Spine CT. sagittal view. 421 mm image width. W/L 1800/400 HU. 702x1284 px. scan covers 19 annotated vertebrae
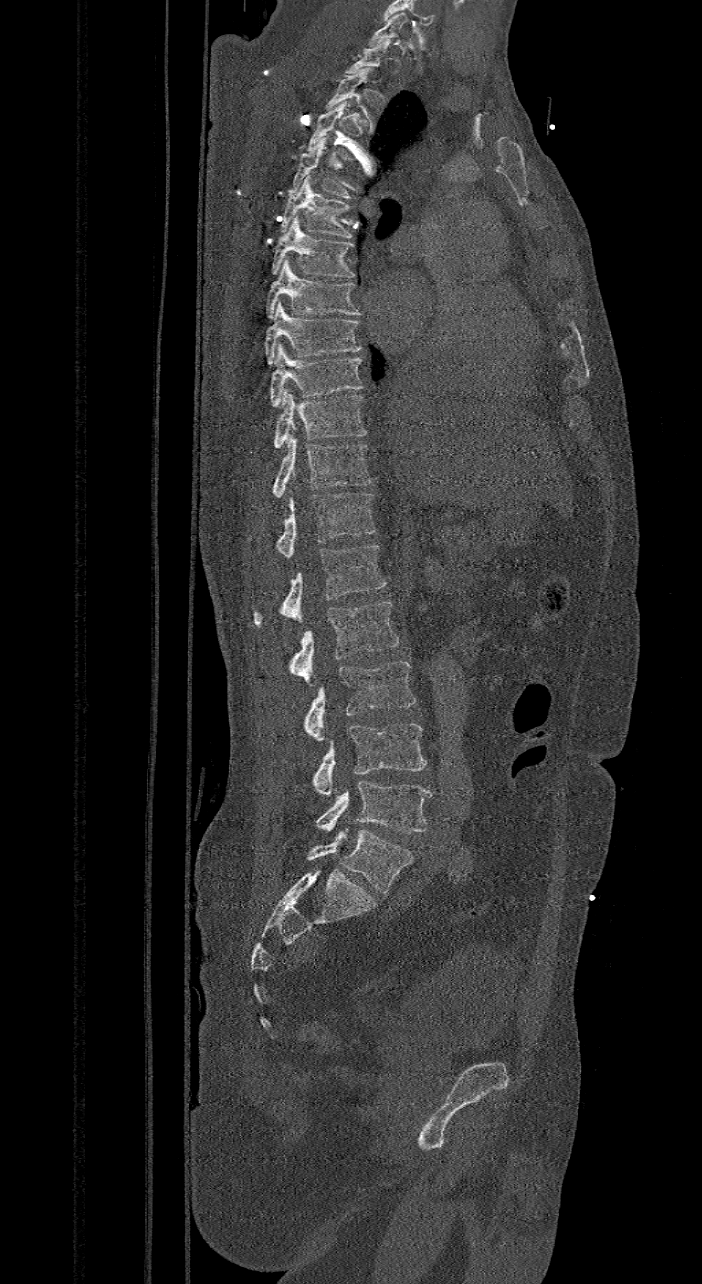 Boxes below are [x1, y1, x2, y2] in pixels.
Each vertebra is boxed only on the slices from the first to the last where its cross-section reaches a third of its largest, so a slice outside that range leaves it unboxed.
These labels give the spine a sixth lumbar vertebra, L6, below L5.
{"vertebrae":{"C7":[367,12,409,46],"T4":[288,137,351,199],"T5":[280,175,353,238],"T6":[270,216,355,277],"T7":[266,259,362,318],"T8":[264,302,362,364],"T9":[270,343,365,406],"T10":[273,390,368,447],"T11":[273,433,370,497],"T12":[277,490,376,556],"L1":[254,545,385,625],"L2":[291,600,399,685],"L3":[304,661,416,742],"L4":[314,723,427,797],"L5":[317,781,432,833],"L6":[307,828,412,893]}}